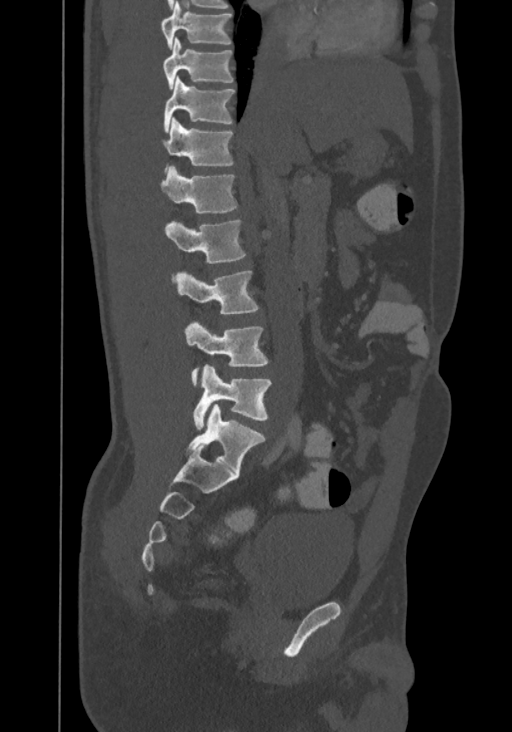

Spine CT. sagittal view. the image is 367 mm wide

Each vertebra maps to its box as [x1, y1, x2, y2], the pixel coordinates of its top-left and bottom-right corners.
In this scan, the topmost labeled vertebra is T8 and the lowest is L4.
{"vertebrae":{"L4":[194,364,271,430],"L3":[185,320,268,386],"L2":[175,270,258,314],"L1":[164,220,246,280],"T12":[160,166,237,214],"T11":[163,118,233,172],"T10":[164,77,235,132],"T9":[163,36,233,89],"T8":[162,1,232,49]}}